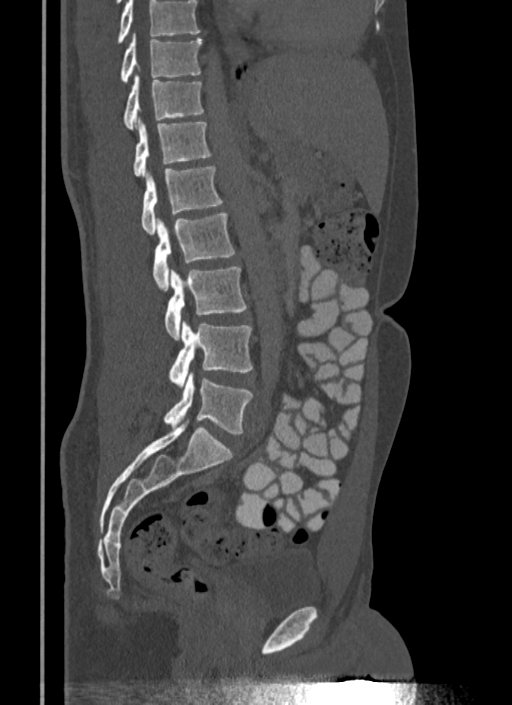 CT spine; sagittal reformat; 340 mm image width; W/L 1800/400 HU
Boxes are (x1, y1, x2, y2) in pixels.
No box is given to a vertebra that the top edge of the scan cuts off.
Vertebra bounding boxes:
- L5: (164, 372, 252, 434)
- L4: (168, 321, 252, 388)
- L3: (164, 267, 246, 339)
- L2: (153, 212, 235, 290)
- L1: (141, 166, 223, 234)
- T12: (134, 119, 211, 175)
- T11: (123, 75, 204, 130)
- T10: (120, 33, 202, 83)